CT spine; sagittal view; W/L 1800/400 HU; 512x744 px; scan covers 17 annotated vertebrae
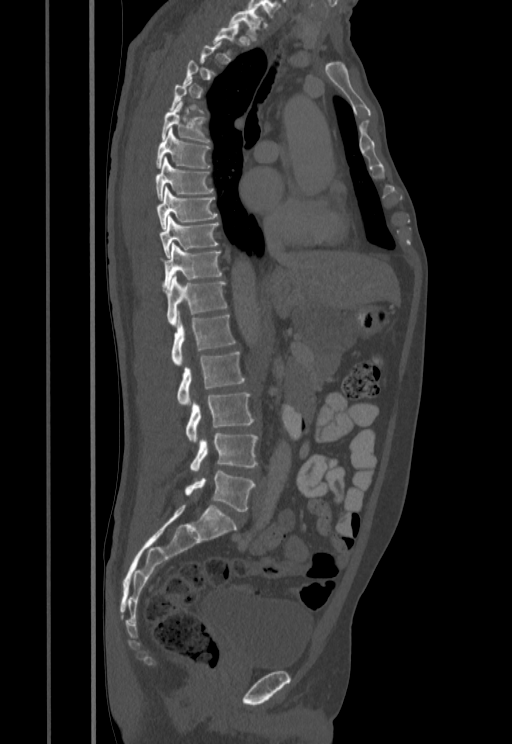

Boxes: x1 y1 x2 y2 (pixel coords, space-separated).
A vertebra gets a box only on the slices from the first to the last where its cross-section is at least a third of its largest; on a slice outside that range it gets none.
T1: 229 8 262 40
T6: 162 101 209 142
T7: 156 128 209 168
T8: 155 156 213 200
T9: 156 187 217 228
T10: 160 217 218 256
T11: 162 243 222 289
T12: 165 274 226 325
L1: 171 311 235 366
L2: 177 352 244 406
L3: 186 392 254 442
L4: 190 432 258 470
L5: 184 471 254 511